CT. sagittal view. Bone window (WL 400, WW 1800)
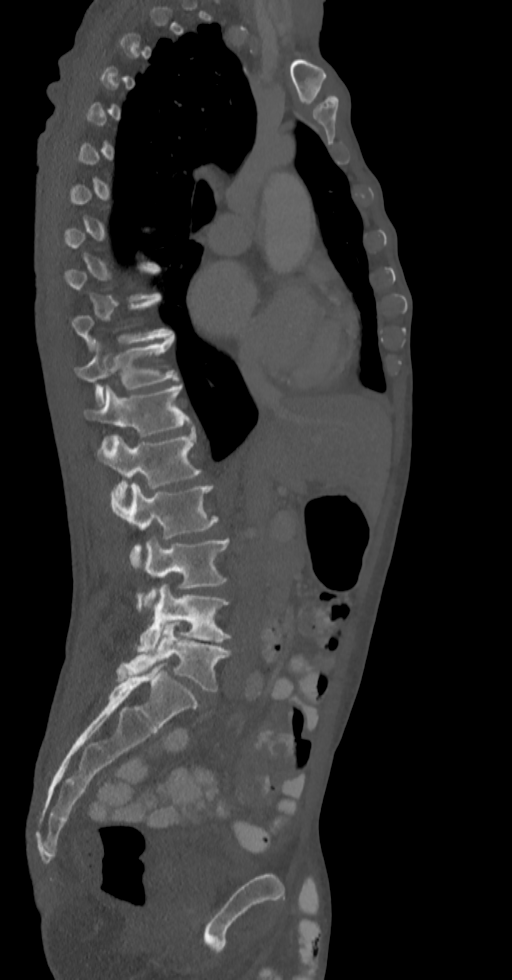
Boxes: x1:y1:x2:y2 in pixels.
Not every vertebra on this slice has a box: a vertebra is boxed only from the first to the last slice where its cross-section is at least a third of its largest, and this slice is outside that range for at least one of them.
Vertebra bounding boxes:
- T10: 73:297:174:348
- T11: 76:338:179:404
- T12: 84:384:192:436
- L1: 97:431:201:511
- L2: 111:483:218:569
- L3: 144:538:229:609
- L4: 138:584:230:654
- L5: 116:622:232:692